CT; sagittal plane, index 253; 512x551 px; the image is 399 mm wide
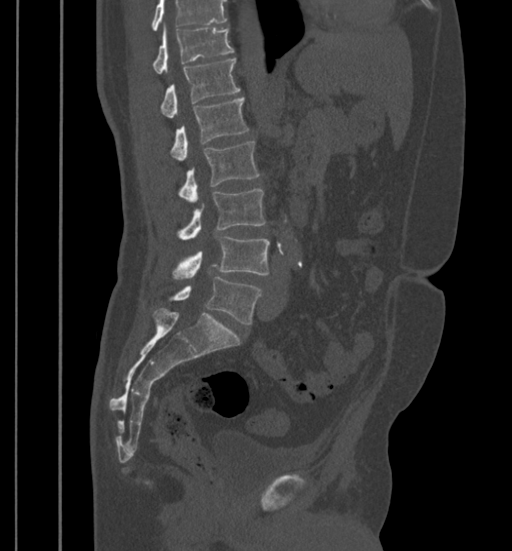
Each box given as x1,y1,x2,y2.
No box is given to a vertebra that the top edge of the scan cuts off.
Vertebra bounding boxes:
- T11: x1=153, y1=27, x2=234, y2=73
- T12: x1=160, y1=59, x2=240, y2=118
- L1: x1=171, y1=98, x2=248, y2=160
- L2: x1=178, y1=141, x2=259, y2=202
- L3: x1=178, y1=188, x2=264, y2=240
- L4: x1=173, y1=236, x2=270, y2=278
- L5: x1=169, y1=277, x2=261, y2=324